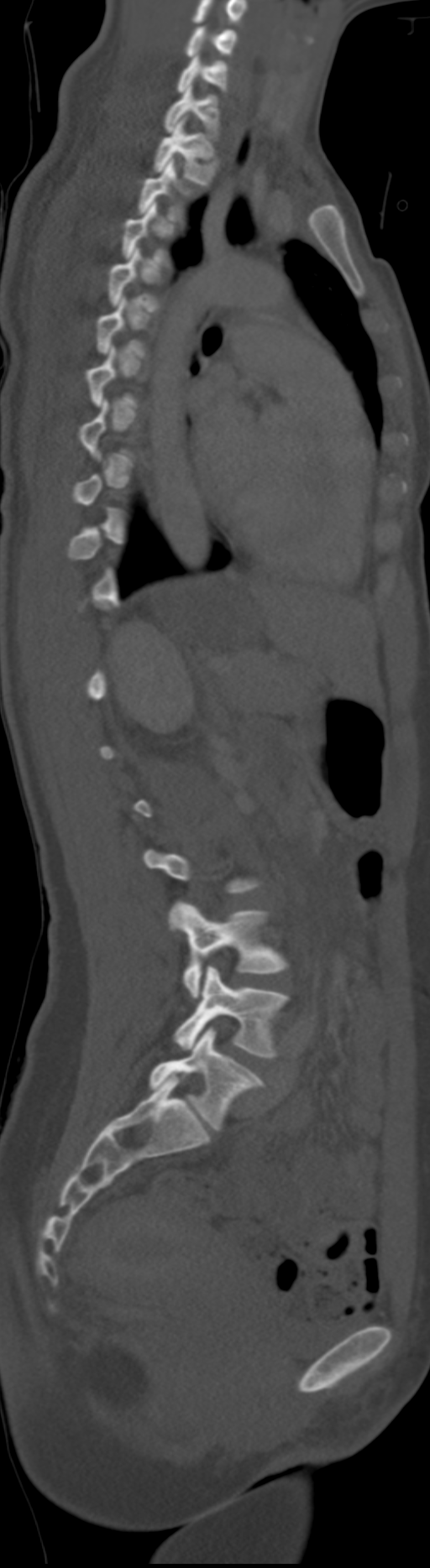

Computed tomography of the spine · sagittal view · the image is 192 mm wide · 430x1568 px

Boxes: x1 y1 x2 y2 (pixel coords, space-separated).
Not every vertebra on this slice has a box: a vertebra is boxed only from the first to the last slice where its cross-section is at least a third of its largest, and this slice is outside that range for at least one of them.
The highest labeled vertebra in this scan is C5; the lowest is L6.
These labels give the spine a sixth lumbar vertebra, L6, below L5.
Vertebra bounding boxes:
- C5: 185 26 236 56
- C6: 176 55 227 91
- C7: 165 85 219 138
- T1: 153 115 218 185
- L4: 178 902 289 998
- L5: 173 967 289 1058
- L6: 149 1028 265 1129